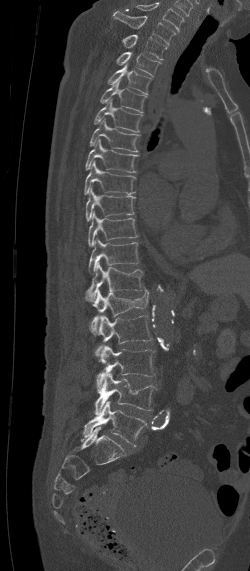 CT spine. sagittal view
Bounding boxes as [x1, y1, x2, y2] in pixel coordinates.
Labels in this scan begin with C7 at the top and end with L5 at the bottom.
C7: [113, 11, 176, 45]
T1: [121, 34, 167, 59]
T2: [116, 52, 161, 77]
T3: [108, 64, 151, 95]
T4: [100, 79, 147, 112]
T5: [92, 98, 143, 132]
T6: [89, 119, 141, 152]
T7: [85, 139, 139, 172]
T8: [84, 161, 136, 194]
T9: [86, 188, 134, 221]
T10: [88, 213, 136, 246]
T11: [88, 238, 138, 275]
T12: [84, 261, 144, 301]
L1: [90, 287, 148, 334]
L2: [96, 315, 151, 361]
L3: [97, 346, 155, 393]
L4: [94, 372, 157, 415]
L5: [81, 401, 147, 445]